CT, spine — sagittal view — scan covers 9 annotated vertebrae
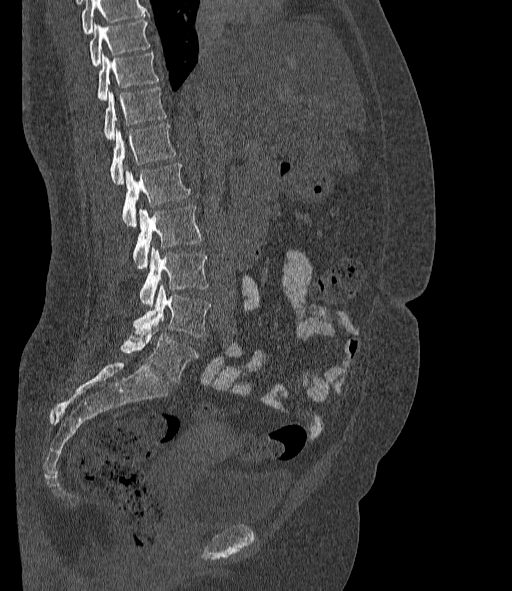 Boxes: x1 y1 x2 y2 (pixel coords, space-separated).
No box is given to a vertebra that the top edge of the scan cuts off.
In these labels the spine has an L6, a sixth lumbar vertebra below L5.
Vertebra bounding boxes:
- L6: 121 325 198 382
- L5: 133 285 211 336
- L4: 140 247 208 306
- L3: 133 205 201 268
- L2: 122 163 190 226
- L1: 110 124 175 184
- T12: 104 87 166 139
- T11: 98 53 158 99
- T10: 89 20 150 66